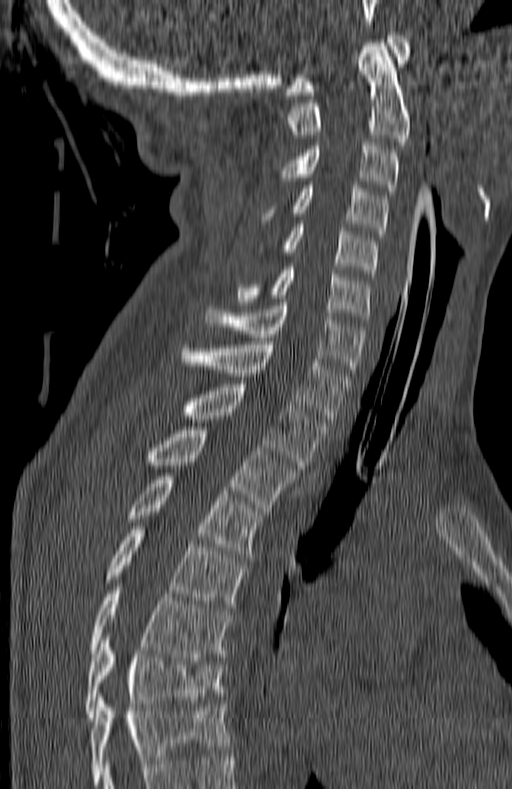

CT, spine; the image is 180 mm wide; sagittal reformat; 512x789 px
Boxes: x1 y1 x2 y2 (pixel coords, space-separated).
This scan's labels start at C1 at the top and end at T7 at the bottom.
Vertebra bounding boxes:
- C1: 286 32 409 95
- C2: 288 43 410 145
- C3: 280 142 398 195
- C4: 294 185 387 237
- C5: 285 224 378 276
- C6: 237 267 370 323
- C7: 206 302 364 376
- T1: 182 341 350 422
- T2: 186 384 324 468
- T3: 152 427 296 511
- T4: 129 473 262 557
- T5: 106 526 247 607
- T6: 89 583 230 660
- T7: 86 633 223 721